CT. sagittal reformat. 281x245 px. a portion of the image is blanked out (constant pixel value)
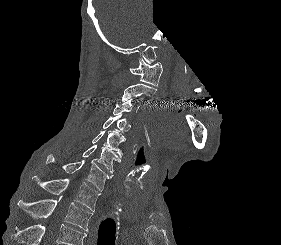
Columns x1, y1, x2, y2 give each box's top-left and bottom-right pixels.
A vertebra cut off by the bottom edge of the scan is not labeled and has no box.
| vertebra | x1 | y1 | x2 | y2 |
|---|---|---|---|---|
| T2 | 17 | 196 | 93 | 232 |
| T1 | 32 | 175 | 100 | 211 |
| C7 | 46 | 154 | 113 | 191 |
| C6 | 82 | 145 | 120 | 173 |
| C5 | 92 | 128 | 125 | 157 |
| C4 | 102 | 114 | 130 | 132 |
| C3 | 113 | 98 | 139 | 115 |
| C2 | 122 | 84 | 156 | 101 |
| C1 | 129 | 58 | 162 | 87 |